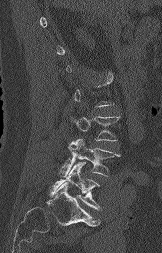
Spine computed tomography. sagittal view. image 162 mm wide
Each vertebra maps to its box as [x1, y1, x2, y2], the pixel coordinates of its top-left and bottom-right corners.
Each vertebra is boxed only on the slices from the first to the last where its cross-section reaches a third of its largest, so a slice outside that range leaves it unboxed.
{"vertebrae":{"L3":[70,116,119,141],"L4":[59,139,119,178],"L5":[50,162,100,210]}}